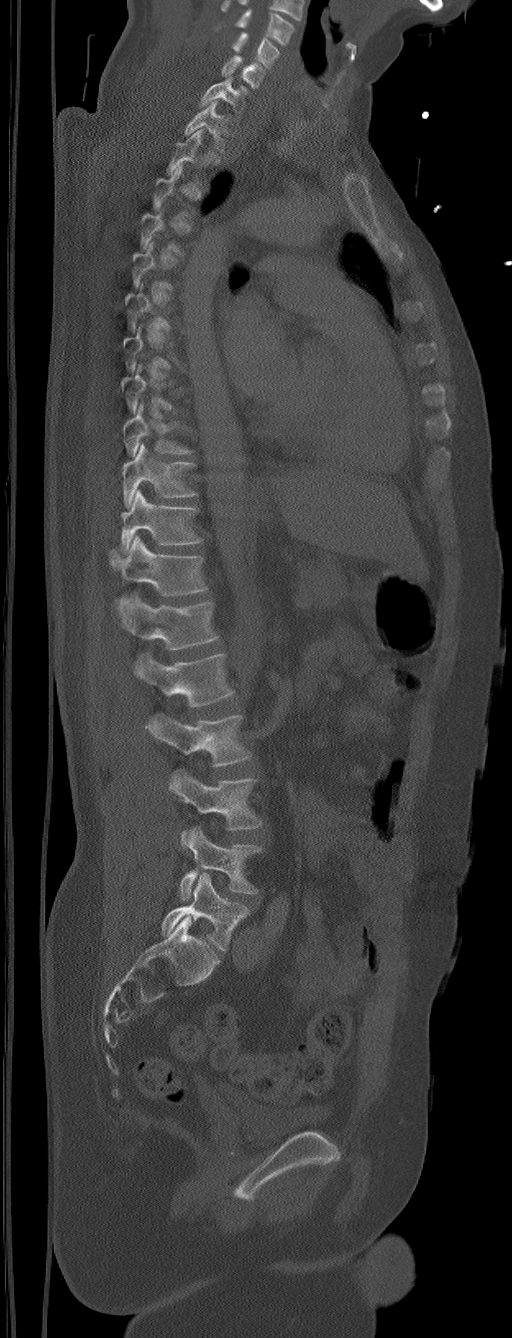 Spine computed tomography. sagittal reformat. image width 305 mm
Boxes below are [x1, y1, x2, y2] in pixels.
A vertebra is boxed only from the first to the last slice where its cross-section is at least a third of its largest; slices outside that range leave it without a box.
Labels in this scan begin with C5 at the top and end with L6 at the bottom.
In these labels the spine has an L6, a sixth lumbar vertebra below L5.
{"vertebrae":{"C5":[232,31,280,68],"C6":[222,55,265,88],"C7":[200,76,247,113],"T1":[185,101,231,150],"T9":[123,403,192,457],"T10":[122,444,197,508],"T11":[120,490,202,552],"T12":[109,536,207,595],"L1":[118,595,219,649],"L2":[133,653,234,706],"L3":[145,714,251,767],"L4":[169,769,263,844],"L5":[180,826,261,899],"L6":[161,873,249,951]}}